CT spine. sagittal reformat
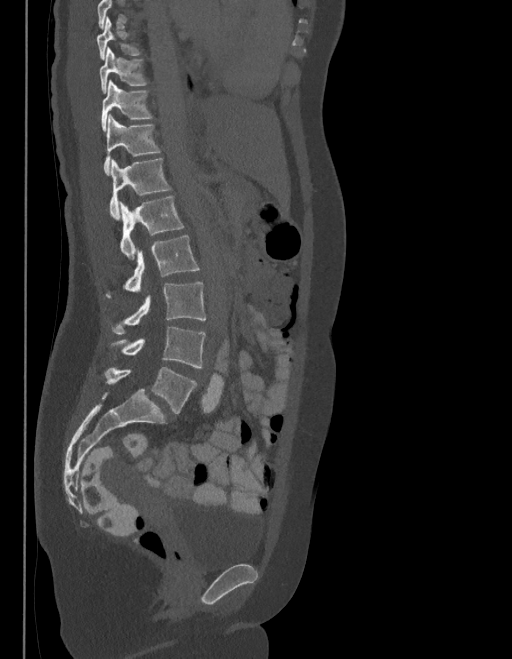
Each vertebra maps to its box as [x1, y1, x2, y2], the pixel coordinates of its top-left and bottom-right corners.
Where the top of the scan cuts through a vertebra, that vertebra gets no label or box.
The labels name a sixth lumbar vertebra for this spine: L6, after L5.
{"vertebrae":{"T9":[96,17,140,60],"T10":[99,48,146,93],"T11":[102,81,151,130],"T12":[104,115,160,174],"L1":[109,158,170,219],"L2":[121,197,183,259],"L3":[107,236,198,297],"L4":[113,281,206,334],"L5":[112,327,205,368],"L6":[105,367,196,414]}}